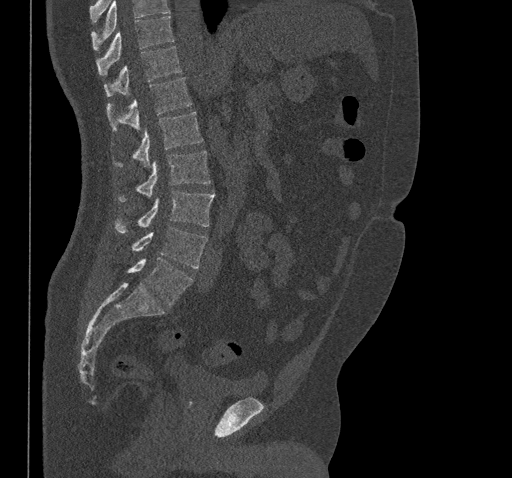

Spine CT — sagittal view — W/L 1800/400 HU — 461 mm wide — 512x478 px
Box edges are left/top/right/bottom in pixels. A vertebra cut off by the top edge of the scan is not labeled and has no box. Vertebrae labeled: T10 at left=97, top=16, right=174, bottom=75, T11 at left=103, top=46, right=182, bottom=96, T12 at left=107, top=77, right=192, bottom=131, L1 at left=114, top=111, right=203, bottom=166, L2 at left=118, top=151, right=210, bottom=201, L3 at left=114, top=190, right=215, bottom=233, L4 at left=132, top=227, right=207, bottom=268, L5 at left=128, top=258, right=193, bottom=306.